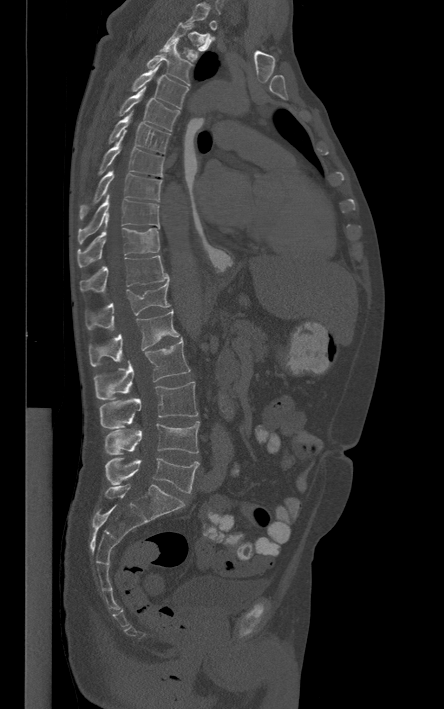
Spine CT · the image is 444 mm wide · sagittal view
Each box given as x1,y1,x2,y2.
Each vertebra is boxed only on the slices from the first to the last where its cross-section reaches a third of its largest, so a slice outside that range leaves it unboxed.
T2: x1=166, y1=23, x2=215, y2=61
T3: x1=146, y1=40, x2=192, y2=85
T4: x1=131, y1=64, x2=188, y2=108
T5: x1=117, y1=87, x2=180, y2=131
T6: x1=108, y1=112, x2=171, y2=153
T7: x1=98, y1=130, x2=164, y2=176
T8: x1=79, y1=171, x2=161, y2=219
T9: x1=78, y1=196, x2=159, y2=243
T10: x1=77, y1=228, x2=159, y2=266
T11: x1=80, y1=255, x2=169, y2=294
T12: x1=85, y1=281, x2=170, y2=330
L1: x1=89, y1=310, x2=179, y2=366
L2: x1=94, y1=339, x2=190, y2=399
L3: x1=100, y1=382, x2=197, y2=428
L4: x1=104, y1=421, x2=199, y2=454
L5: x1=105, y1=457, x2=199, y2=493